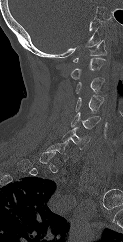

Spine computed tomography · sagittal view · 123x242 px · the image spans 123 mm across

Each box is [x1, y1, x2, y2] in pixels: top-left corner, then bottom-right corner.
A vertebra gets a box only on the slices from the first to the last where its cross-section is at least a third of its largest; on a slice outside that range it gets none.
{"vertebrae":{"C7":[46,142,72,161],"C6":[62,127,91,149],"C5":[71,112,100,129],"C4":[75,95,103,113],"C3":[75,77,104,94],"C2":[70,58,106,79],"C1":[73,40,106,62]}}